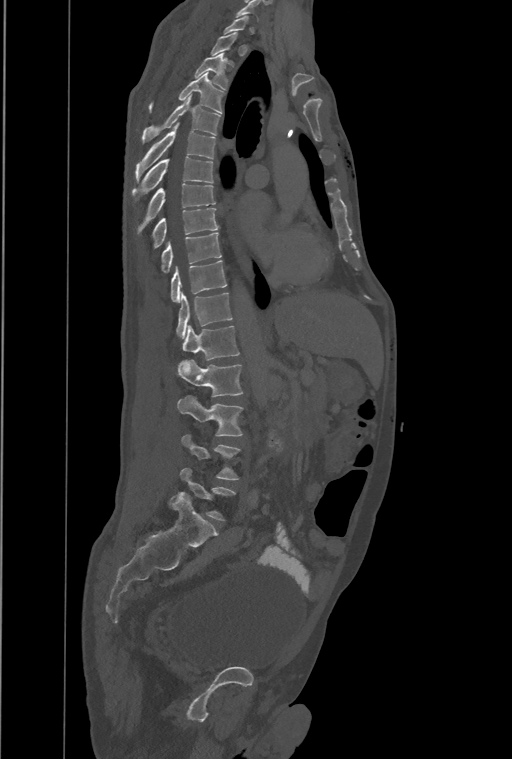
Spine CT — sagittal reformat — 512x759 px

Each box given as x1,y1,x2,y2.
A vertebra is boxed only from the first to the last slice where its cross-section is at least a third of its largest; slices outside that range leave it without a box.
The highest labeled vertebra in this scan is T1; the lowest is L4.
In these labels the spine has a T13, a thirteenth thoracic vertebra, between T12 and L1.
| vertebra | x1 | y1 | x2 | y2 |
|---|---|---|---|---|
| T3 | 195 | 54 | 226 | 88 |
| T4 | 150 | 72 | 223 | 113 |
| T5 | 142 | 95 | 219 | 143 |
| T6 | 135 | 122 | 215 | 181 |
| T7 | 132 | 157 | 213 | 203 |
| T8 | 136 | 184 | 215 | 235 |
| T9 | 151 | 208 | 219 | 249 |
| T10 | 161 | 232 | 222 | 273 |
| T11 | 171 | 260 | 226 | 301 |
| T12 | 176 | 292 | 232 | 338 |
| T13 | 183 | 326 | 239 | 359 |
| L1 | 177 | 360 | 243 | 396 |
| L2 | 177 | 396 | 243 | 436 |
| L3 | 181 | 435 | 241 | 480 |
| L4 | 170 | 468 | 235 | 520 |